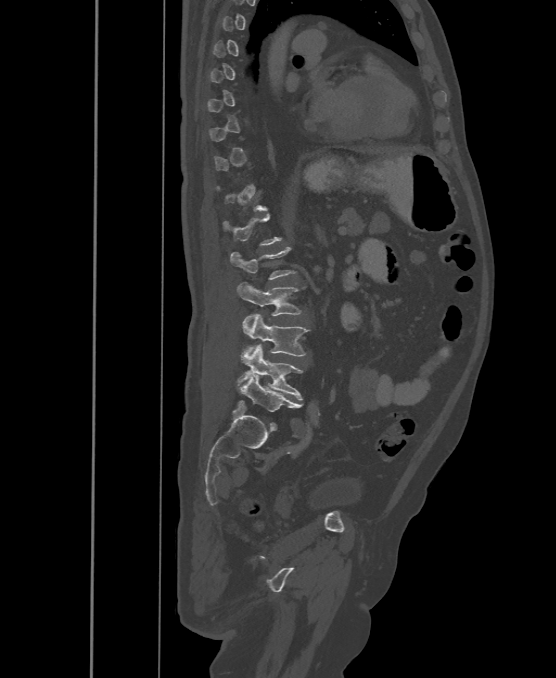 Spine computed tomography — sagittal reformat — Bone window (WL 400, WW 1800) — 500 mm across the image
Boxes: x1 y1 x2 y2 (pixel coords, space-separated).
Each vertebra is boxed only on the slices from the first to the last where its cross-section reaches a third of its largest, so a slice outside that range leaves it unboxed.
The labels name a sixth lumbar vertebra for this spine: L6, after L5.
Vertebra bounding boxes:
- L6: 239 375 300 412
- L5: 238 345 303 400
- L4: 242 314 308 356
- L3: 237 283 302 316
- L2: 230 247 294 279